CT, spine · sagittal view · Bone window (WL 400, WW 1800) · 512x842 px · scan covers 16 annotated vertebrae
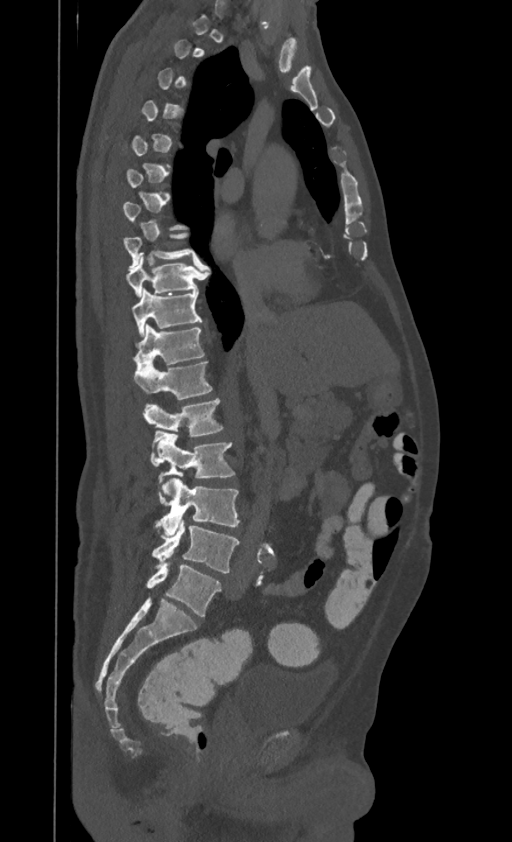
Boxes: x1:y1:x2:y2 in pixels. A vertebra is boxed only from the first to the last slice where its cross-section is at least a third of its largest; slices outside that range leave it without a box. In this scan, the topmost labeled vertebra is T1 and the lowest is L4. The labeled vertebrae in this slice are: L4 at 152:517:239:573, L3 at 155:478:239:536, L2 at 152:430:235:495, L1 at 144:399:223:436, T12 at 135:360:213:399, T11 at 133:324:205:366, T10 at 132:289:201:336, T9 at 127:253:205:296, T8 at 124:233:198:268.